Computed tomography of the spine · Sagittal slice 246/512 · W/L 1800/400 HU · image 180 mm wide · 11 vertebrae labeled in this scan
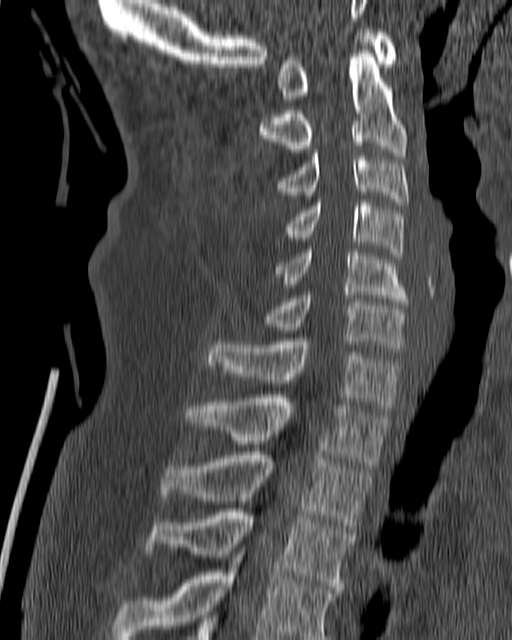

Boxes: x1:y1:x2:y2 in pixels.
Vertebra bounding boxes:
- T4: 112:548:338:639
- T3: 143:508:355:593
- T2: 160:452:373:529
- T1: 184:395:387:465
- C7: 206:338:401:408
- C6: 263:292:409:347
- C5: 274:249:409:305
- C4: 285:199:404:259
- C3: 274:149:409:205
- C2: 257:50:407:155
- C1: 279:28:396:99